CT spine · Sagittal slice 258/512 · bone-window reconstruction · 613x1182 px
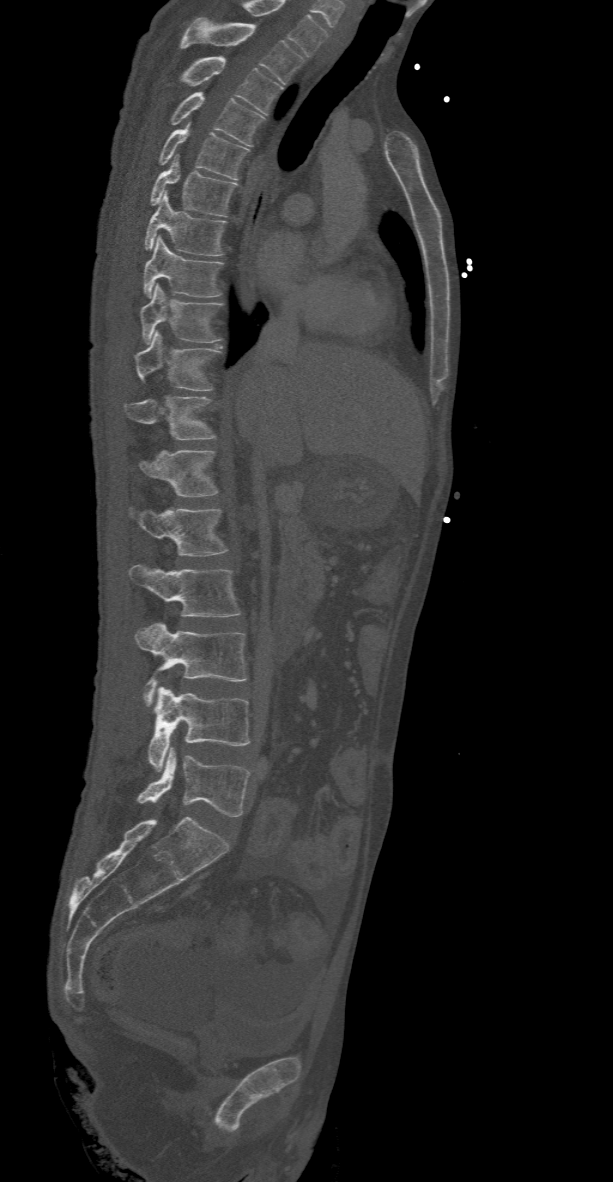 Boxes are (x1, y1, x2, y2) in pixels.
Labels in this scan begin with T2 at the top and end with L5 at the bottom.
L5: (137, 747, 251, 816)
L4: (149, 687, 251, 770)
L3: (134, 621, 247, 705)
L2: (128, 564, 242, 616)
L1: (128, 507, 227, 555)
T12: (137, 450, 218, 496)
T11: (125, 396, 217, 440)
T10: (134, 331, 222, 390)
T9: (140, 284, 224, 343)
T8: (143, 236, 225, 297)
T7: (143, 192, 225, 256)
T6: (150, 154, 237, 216)
T5: (157, 123, 248, 180)
T4: (170, 91, 265, 146)
T3: (178, 56, 282, 113)
T2: (180, 17, 302, 83)